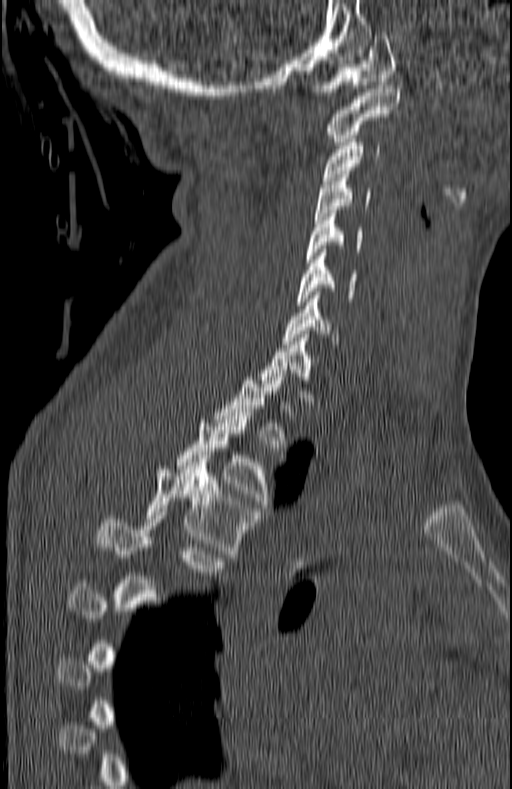
CT · sagittal view. Boxes: x1:y1:x2:y2 in pixels. Not every vertebra on this slice has a box: a vertebra is boxed only from the first to the last slice where its cross-section is at least a third of its largest, and this slice is outside that range for at least one of them. The labeled vertebrae in this slice are: T5 at 95:516:222:575, T4 at 146:466:256:554, T3 at 177:412:273:511, T2 at 217:373:284:447, C7 at 283:295:338:344, C6 at 297:249:358:305, C5 at 306:210:364:262, C4 at 314:171:370:219, C3 at 323:139:380:180, C2 at 328:85:398:145, C1 at 310:32:395:95.